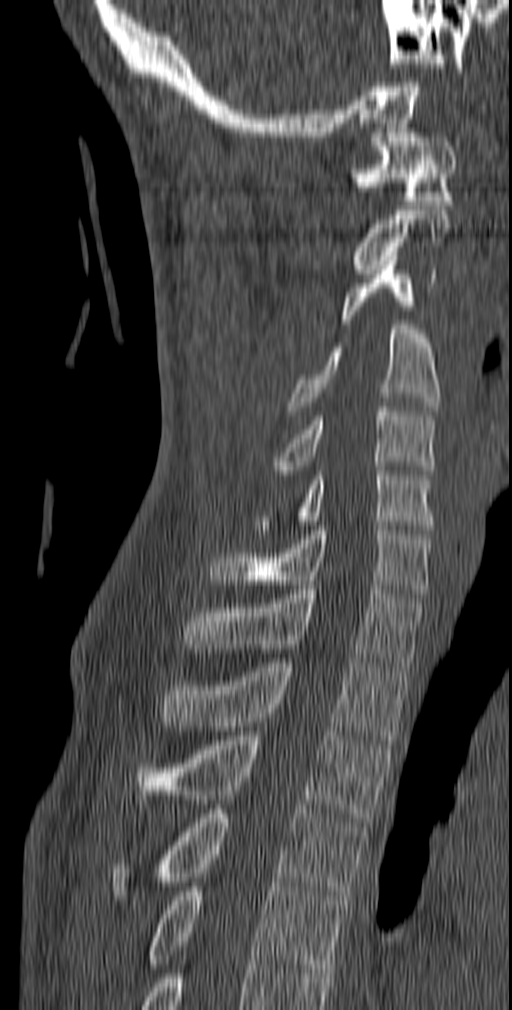 CT, spine · sagittal view · 140 mm image width · 512x1010 px
<vertebrae><v name="T5" x1="147" y1="882" x2="348" y2="973"/><v name="T4" x1="110" y1="809" x2="366" y2="900"/><v name="T3" x1="137" y1="731" x2="391" y2="826"/><v name="T2" x1="161" y1="658" x2="411" y2="740"/><v name="T1" x1="183" y1="585" x2="424" y2="671"/><v name="C7" x1="208" y1="526" x2="432" y2="598"/><v name="C6" x1="256" y1="466" x2="436" y2="534"/><v name="C5" x1="269" y1="407" x2="436" y2="474"/><v name="C4" x1="287" y1="325" x2="440" y2="415"/><v name="C3" x1="341" y1="256" x2="436" y2="324"/><v name="C2" x1="352" y1="210" x2="450" y2="273"/><v name="C1" x1="350" y1="133" x2="457" y2="205"/></vertebrae>